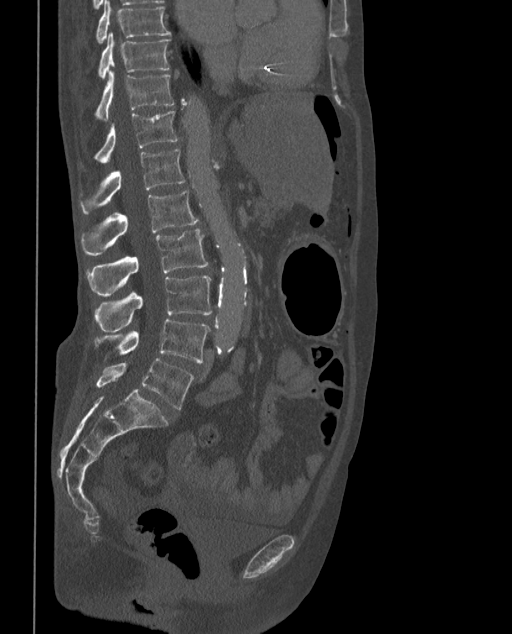
CT, spine. sagittal view. bone window
These labels give the spine a sixth lumbar vertebra, L6, below L5.
<vertebrae><v name="T9" x1="96" y1="0" x2="170" y2="42"/><v name="T10" x1="99" y1="32" x2="169" y2="78"/><v name="T11" x1="96" y1="70" x2="175" y2="120"/><v name="T12" x1="95" y1="111" x2="177" y2="162"/><v name="L1" x1="81" y1="149" x2="185" y2="213"/><v name="L2" x1="81" y1="190" x2="198" y2="256"/><v name="L3" x1="86" y1="229" x2="207" y2="295"/><v name="L4" x1="95" y1="275" x2="212" y2="331"/><v name="L5" x1="93" y1="319" x2="209" y2="362"/><v name="L6" x1="96" y1="358" x2="194" y2="409"/></vertebrae>